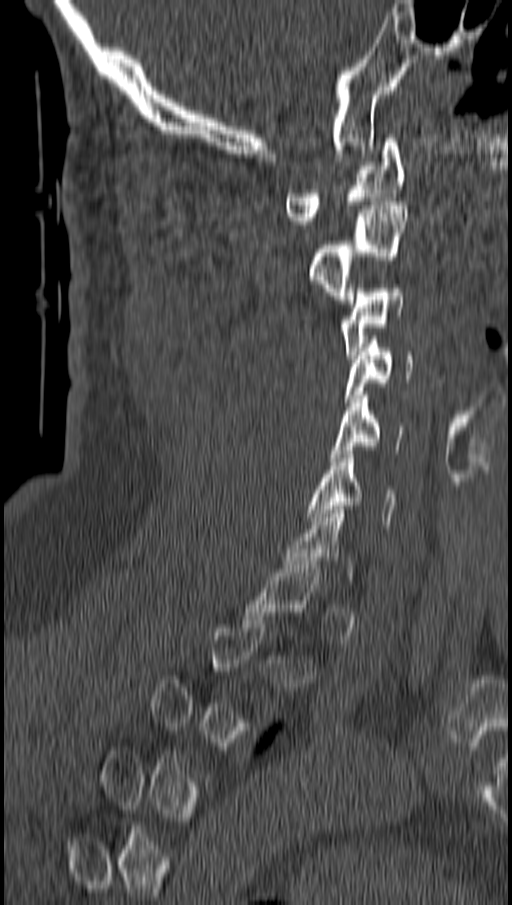
Spine CT — sagittal view — 512x905 px. Each box given as x1,y1,x2,y2.
Each vertebra is boxed only on the slices from the first to the last where its cross-section reaches a third of its largest, so a slice outside that range leaves it unboxed.
Vertebra bounding boxes:
- C6: x1=308, y1=450, x2=396, y2=528
- C5: x1=330, y1=391, x2=405, y2=461
- C4: x1=346, y1=336, x2=411, y2=402
- C3: x1=342, y1=284, x2=402, y2=359
- C2: x1=311, y1=201, x2=408, y2=303
- C1: x1=286, y1=138, x2=405, y2=224